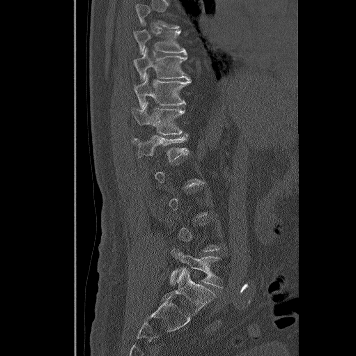 CT, spine. sagittal reformat

Each box given as x1,y1,x2,y2.
A vertebra gets a box only on the slices from the first to the last where its cross-section is at least a third of its largest; on a slice outside that range it gets none.
| vertebra | x1 | y1 | x2 | y2 |
|---|---|---|---|---|
| T9 | 133 | 29 | 187 | 54 |
| T10 | 133 | 48 | 190 | 80 |
| T11 | 134 | 75 | 191 | 108 |
| T12 | 131 | 101 | 185 | 134 |
| L1 | 132 | 132 | 189 | 160 |
| L5 | 170 | 248 | 221 | 287 |